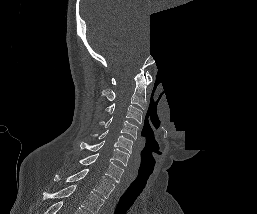 CT, spine; sagittal view; 257x214 px; part of the image is constant black where the scan was masked
This scan's labels start at C1 at the top and end at T1 at the bottom.
<vertebrae><v name="C1" x1="111" y1="71" x2="152" y2="84"/><v name="C2" x1="101" y1="68" x2="148" y2="109"/><v name="C3" x1="105" y1="103" x2="142" y2="123"/><v name="C4" x1="100" y1="116" x2="138" y2="139"/><v name="C5" x1="90" y1="130" x2="132" y2="153"/><v name="C6" x1="80" y1="140" x2="129" y2="166"/><v name="C7" x1="78" y1="153" x2="123" y2="182"/><v name="T1" x1="54" y1="169" x2="114" y2="198"/></vertebrae>